CT · Sagittal slice 245/512 · Bone window (WL 400, WW 1800) · 512x827 px · 140 mm image width · scan covers 10 annotated vertebrae
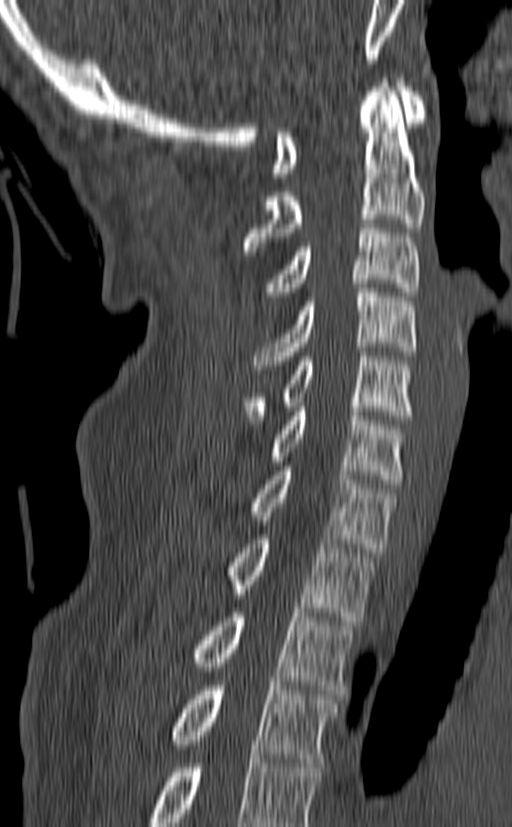
Bounding boxes as [x1, y1, x2, y2] in pixel coordinates. In this scan, the topmost labeled vertebra is C1 and the lowest is T3. The labeled vertebrae in this slice are: T3 at [170, 686, 337, 767], T2 at [192, 608, 355, 694], T1 at [228, 535, 373, 621], C7 at [250, 466, 395, 552], C6 at [268, 402, 406, 484], C5 at [241, 347, 414, 424], C4 at [254, 283, 417, 369], C3 at [265, 219, 419, 296], C2 at [243, 78, 425, 255], C1 at [271, 78, 426, 177].